CT, spine — sagittal plane, index 295 — image 500 mm wide — 714x983 px
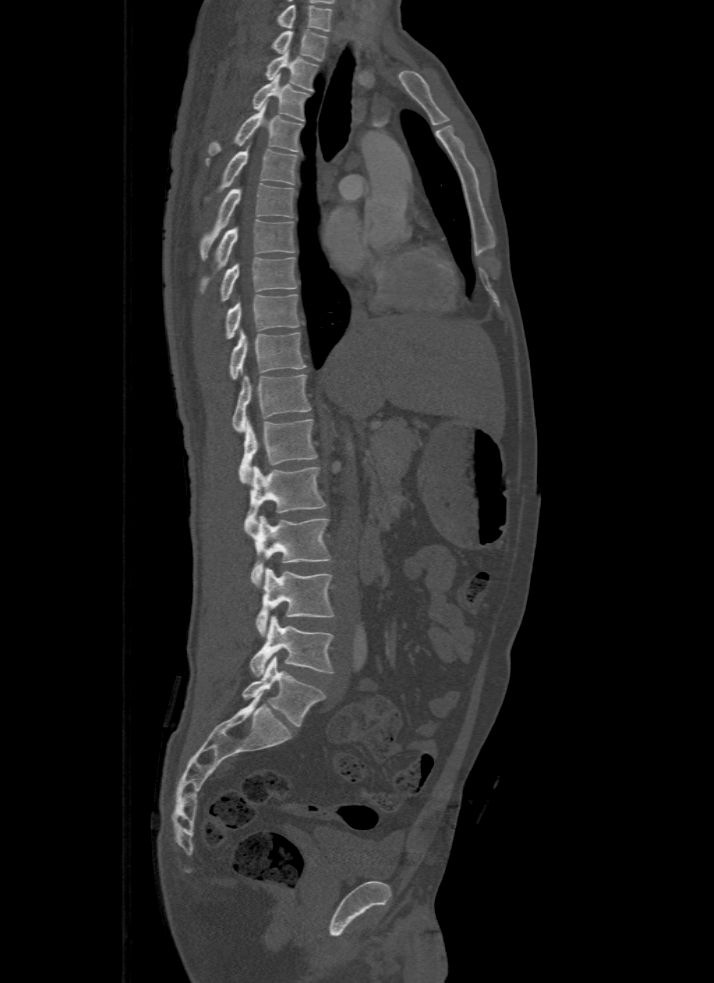

Boxes: x1 y1 x2 y2 (pixel coords, space-separated). This scan's labels start at T1 at the top and end at L5 at the bottom. Vertebrae labeled: L5 at 241 656 324 727, L4 at 250 616 334 677, L3 at 255 568 335 637, L2 at 251 516 331 587, L1 at 244 466 325 531, T12 at 239 418 317 484, T11 at 232 375 310 431, T10 at 229 330 306 379, T9 at 225 295 299 338, T8 at 220 257 298 301, T7 at 199 219 295 291, T6 at 199 183 295 260, T5 at 219 148 298 191, T4 at 208 105 303 155, T3 at 251 73 309 121, T2 at 265 49 317 91, T1 at 272 30 328 61.